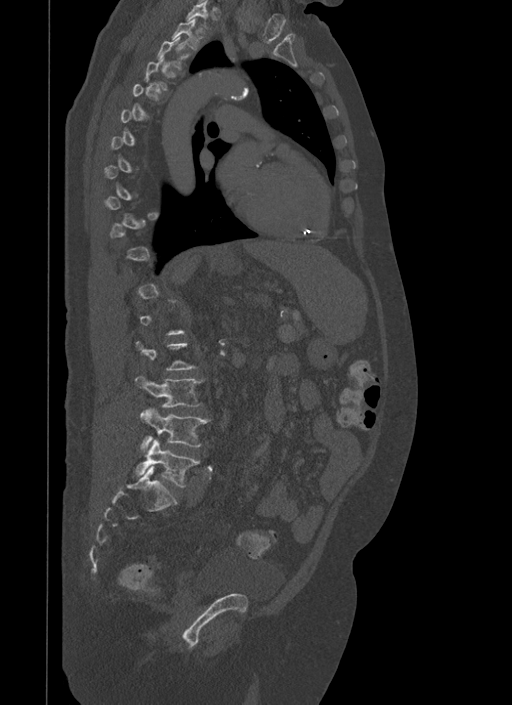
CT, spine; sagittal view

Box edges are left/top/right/bottom in pixels.
A vertebra is boxed only from the first to the last slice where its cross-section is at least a third of its largest; slices outside that range leave it without a box.
| vertebra | x1 | y1 | x2 | y2 |
|---|---|---|---|---|
| L5 | 136 | 440 | 199 | 486 |
| L4 | 141 | 408 | 210 | 451 |
| L3 | 136 | 376 | 203 | 407 |
| T2 | 171 | 17 | 203 | 50 |
| T1 | 186 | 0 | 210 | 30 |